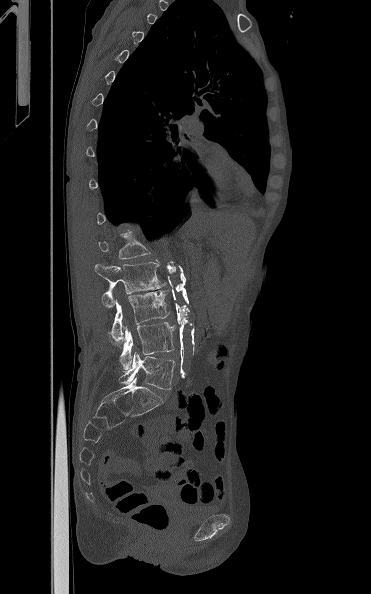

CT, spine · sagittal view

Bounding boxes as [x1, y1, x2, y2] in pixel coordinates.
Vertebra bounding boxes:
- L5: [119, 352, 174, 389]
- L4: [119, 322, 175, 370]
- L3: [108, 290, 170, 342]
- L2: [95, 262, 167, 307]
- L1: [98, 230, 151, 259]